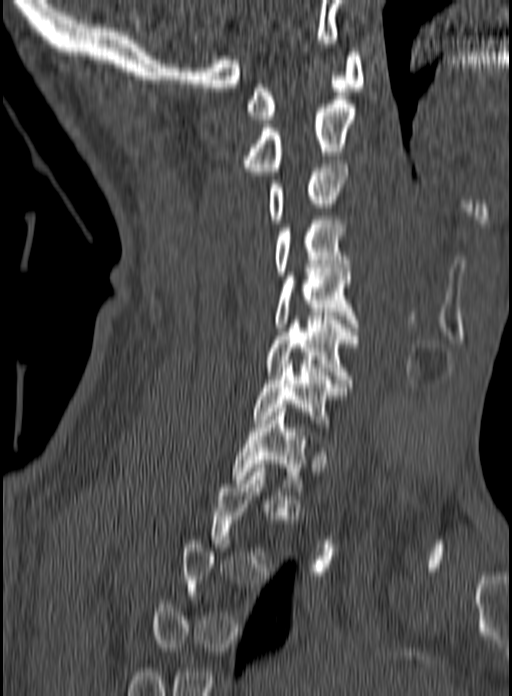 CT; sagittal reformat; the image is 160 mm wide; bone-window reconstruction; 512x696 px
Box edges are left/top/right/bottom in pixels. A vertebra is boxed only from the first to the last slice where its cross-section is at least a third of its largest; slices outside that range leave it without a box. The labeled vertebrae in this slice are: C1 at left=246, top=52, right=363, bottom=119, C2 at left=242, top=100, right=355, bottom=171, C3 at left=267, top=160, right=347, bottom=223, C4 at left=273, top=216, right=349, bottom=275, C5 at left=274, top=268, right=359, bottom=331, C6 at left=267, top=316, right=359, bottom=383, C7 at left=253, top=364, right=346, bottom=427, T1 at left=231, top=408, right=307, bottom=491.